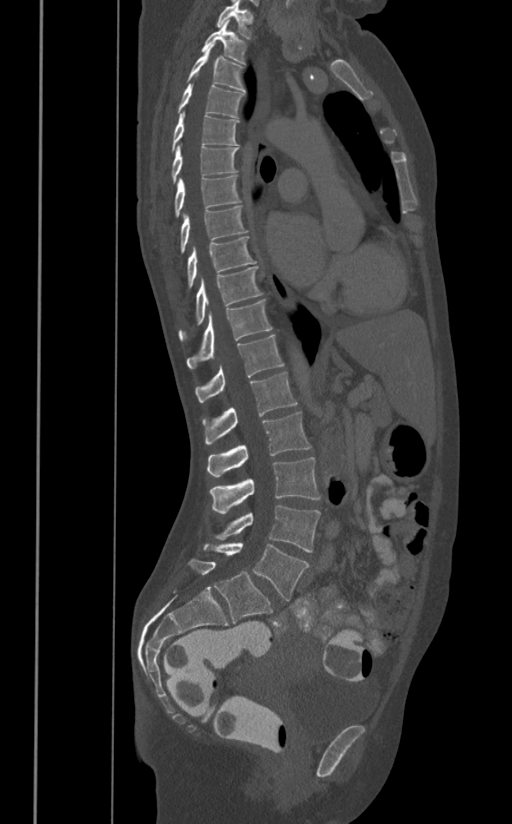
Computed tomography of the spine. sagittal view. 512x824 px
Columns x1, y1, x2, y2 give each box's top-left and bottom-right pixels.
| vertebra | x1 | y1 | x2 | y2 |
|---|---|---|---|---|
| T1 | 217 | 0 | 253 | 39 |
| T2 | 201 | 20 | 245 | 64 |
| T3 | 187 | 44 | 245 | 91 |
| T4 | 178 | 84 | 244 | 117 |
| T5 | 171 | 111 | 239 | 151 |
| T6 | 171 | 145 | 238 | 183 |
| T7 | 174 | 176 | 241 | 217 |
| T8 | 180 | 206 | 249 | 252 |
| T9 | 187 | 236 | 255 | 288 |
| T10 | 178 | 266 | 262 | 341 |
| T11 | 187 | 301 | 271 | 368 |
| T12 | 195 | 334 | 283 | 402 |
| L1 | 203 | 372 | 297 | 443 |
| L2 | 207 | 411 | 310 | 476 |
| L3 | 209 | 457 | 320 | 514 |
| L4 | 215 | 506 | 320 | 552 |
| L5 | 204 | 543 | 309 | 600 |